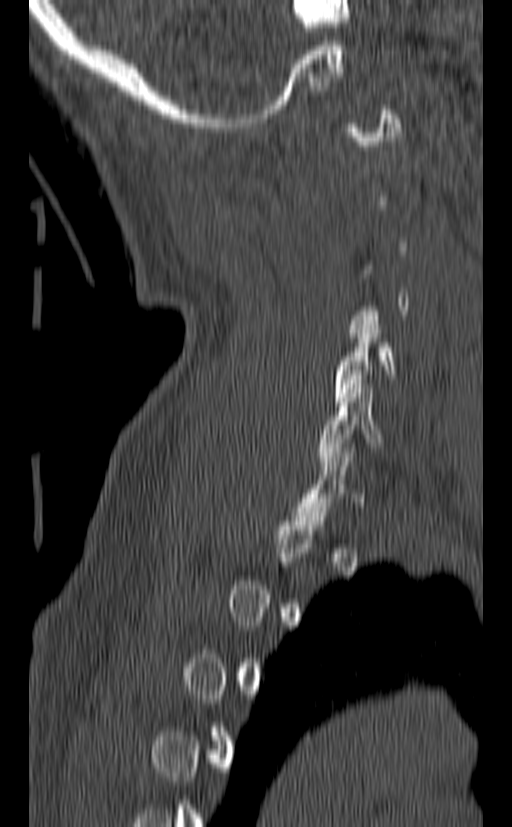

CT, spine — sagittal view — 140 mm image width — Bone window (WL 400, WW 1800)

Columns x1, y1, x2, y2 give each box's top-left and bottom-right pixels.
A vertebra gets a box only on the slices from the first to the last where its cross-section is at least a third of its largest; on a slice outside that range it gets none.
| vertebra | x1 | y1 | x2 | y2 |
|---|---|---|---|---|
| C6 | 319 | 384 | 384 | 465 |
| C5 | 334 | 320 | 395 | 406 |